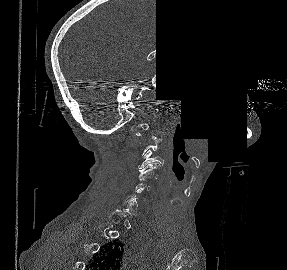 CT spine · sagittal view · part of the image is constant black where the scan was masked
Boxes: x1:y1:x2:y2 in pixels.
Not every vertebra on this slice has a box: a vertebra is boxed only from the first to the last slice where its cross-section is at least a third of its largest, and this slice is outside that range for at least one of them.
Vertebra bounding boxes:
- C3: 138:150:163:168
- C4: 138:163:160:180